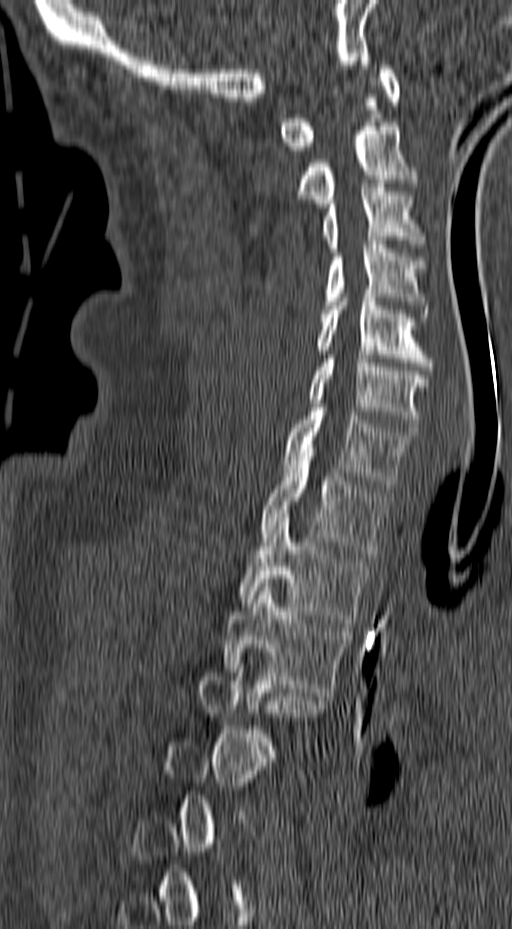

CT · sagittal reformat

Each row gives a vertebra's box as x1, y1, x2, y2 in pixels: top-left corner, then bottom-right corner.
A vertebra gets a box only on the slices from the first to the last where its cross-section is at least a third of its largest; on a slice outside that range it gets none.
| vertebra | x1 | y1 | x2 | y2 |
|---|---|---|---|---|
| C1 | 278 | 61 | 400 | 154 |
| C2 | 295 | 122 | 418 | 207 |
| C3 | 321 | 183 | 427 | 252 |
| C4 | 324 | 241 | 430 | 317 |
| C5 | 317 | 294 | 433 | 370 |
| C6 | 308 | 355 | 429 | 431 |
| C7 | 282 | 404 | 418 | 488 |
| T1 | 259 | 448 | 388 | 557 |
| T2 | 239 | 514 | 369 | 627 |
| T3 | 223 | 583 | 349 | 696 |